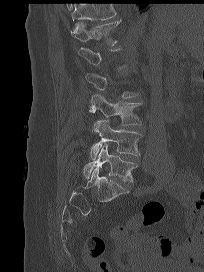

CT spine — sagittal view — bone-window reconstruction — 204 mm image width — 204x272 px
A vertebra is boxed only from the first to the last slice where its cross-section is at least a third of its largest; slices outside that range leave it without a box.
A vertebra cut off by the top edge of the scan is not labeled and has no box.
<vertebrae><v name="T12" x1="71" y1="19" x2="121" y2="45"/><v name="L3" x1="89" y1="94" x2="142" y2="125"/><v name="L4" x1="90" y1="119" x2="142" y2="159"/><v name="L5" x1="83" y1="143" x2="137" y2="182"/></vertebrae>